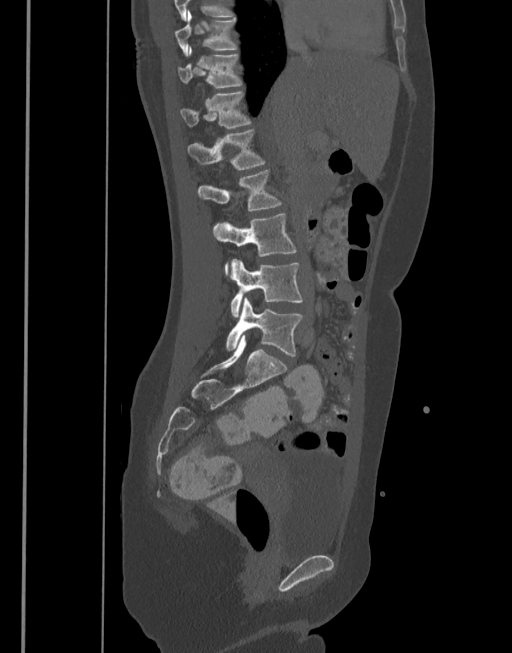 CT spine; sagittal view; image width 377 mm; bone window; 512x653 px
<vertebrae><v name="T10" x1="175" y1="10" x2="236" y2="56"/><v name="T11" x1="177" y1="46" x2="242" y2="88"/><v name="T12" x1="180" y1="90" x2="251" y2="127"/><v name="L1" x1="187" y1="128" x2="265" y2="170"/><v name="L2" x1="198" y1="170" x2="281" y2="210"/><v name="L3" x1="213" y1="213" x2="298" y2="274"/><v name="L4" x1="230" y1="259" x2="302" y2="317"/><v name="L5" x1="226" y1="298" x2="303" y2="356"/></vertebrae>